Computed tomography of the spine. Sagittal slice 150/350. the image spans 350 mm across
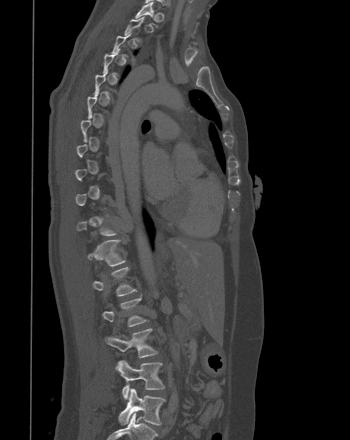 Columns x1, y1, x2, y2 give each box's top-left and bottom-right pixels.
Each vertebra is boxed only on the slices from the first to the last where its cross-section reaches a third of its largest, so a slice outside that range leaves it unboxed.
| vertebra | x1 | y1 | x2 | y2 |
|---|---|---|---|---|
| T1 | 135 | 0 | 156 | 26 |
| T12 | 87 | 239 | 125 | 266 |
| L1 | 92 | 267 | 136 | 296 |
| L3 | 104 | 328 | 157 | 357 |
| L4 | 116 | 360 | 164 | 399 |
| L5 | 118 | 388 | 165 | 425 |